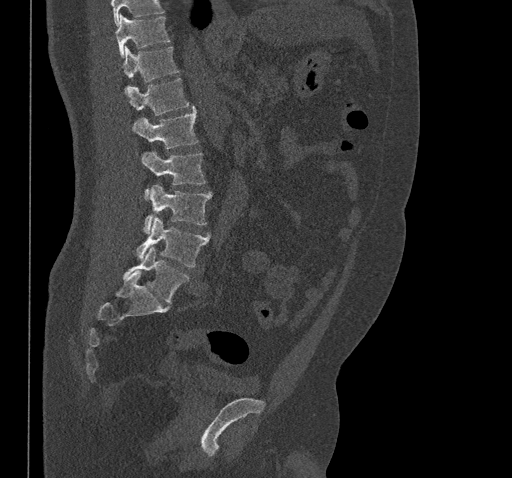 CT. sagittal reformat. image width 461 mm

Each row gives a vertebra's box as x1, y1, x2, y2 in pixels: top-left corner, then bottom-right corner.
Vertebrae that run past the top of the scan are left unlabeled.
| vertebra | x1 | y1 | x2 | y2 |
|---|---|---|---|---|
| L5 | 123 | 247 | 188 | 303 |
| L4 | 136 | 217 | 210 | 267 |
| L3 | 143 | 184 | 211 | 233 |
| L2 | 141 | 151 | 205 | 199 |
| L1 | 132 | 106 | 197 | 148 |
| T12 | 125 | 78 | 188 | 115 |
| T11 | 122 | 47 | 178 | 89 |
| T10 | 116 | 15 | 170 | 57 |